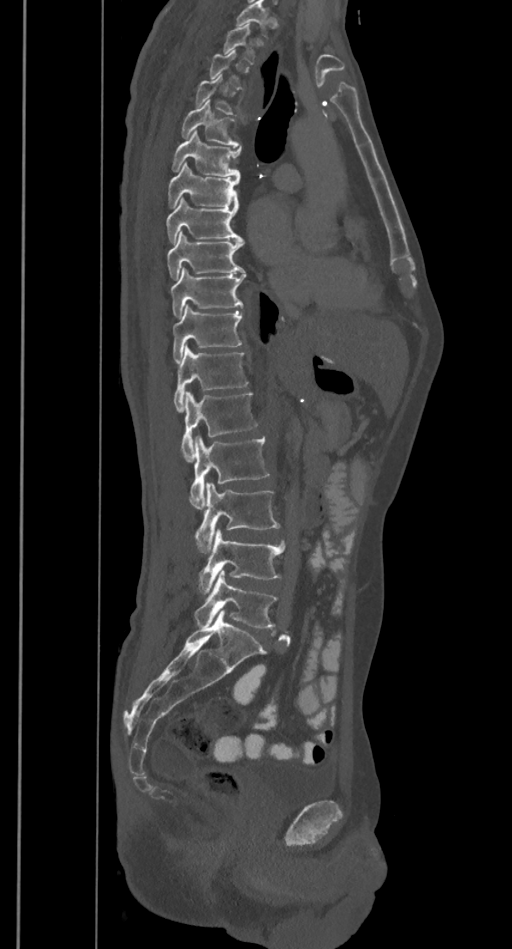
CT — sagittal view — bone-window reconstruction — image width 385 mm

Each box given as x1,y1,x2,y2.
Each vertebra is boxed only on the slices from the first to the last where its cross-section reaches a third of its largest, so a slice outside that range leaves it unboxed.
Vertebrae that run past the top of the scan are left unlabeled.
L5: x1=194, y1=572, x2=277, y2=627
L4: x1=199, y1=529, x2=285, y2=594
L3: x1=195, y1=482, x2=279, y2=553
L2: x1=190, y1=436, x2=269, y2=509
L1: x1=181, y1=391, x2=257, y2=461
T12: x1=174, y1=346, x2=249, y2=411
T11: x1=173, y1=305, x2=242, y2=362
T10: x1=171, y1=267, x2=246, y2=317
T9: x1=167, y1=235, x2=244, y2=279
T8: x1=166, y1=197, x2=243, y2=243
T7: x1=167, y1=162, x2=240, y2=207
T6: x1=171, y1=132, x2=241, y2=177
T5: x1=181, y1=101, x2=240, y2=146
T4: x1=195, y1=75, x2=234, y2=114
T2: x1=223, y1=24, x2=255, y2=64